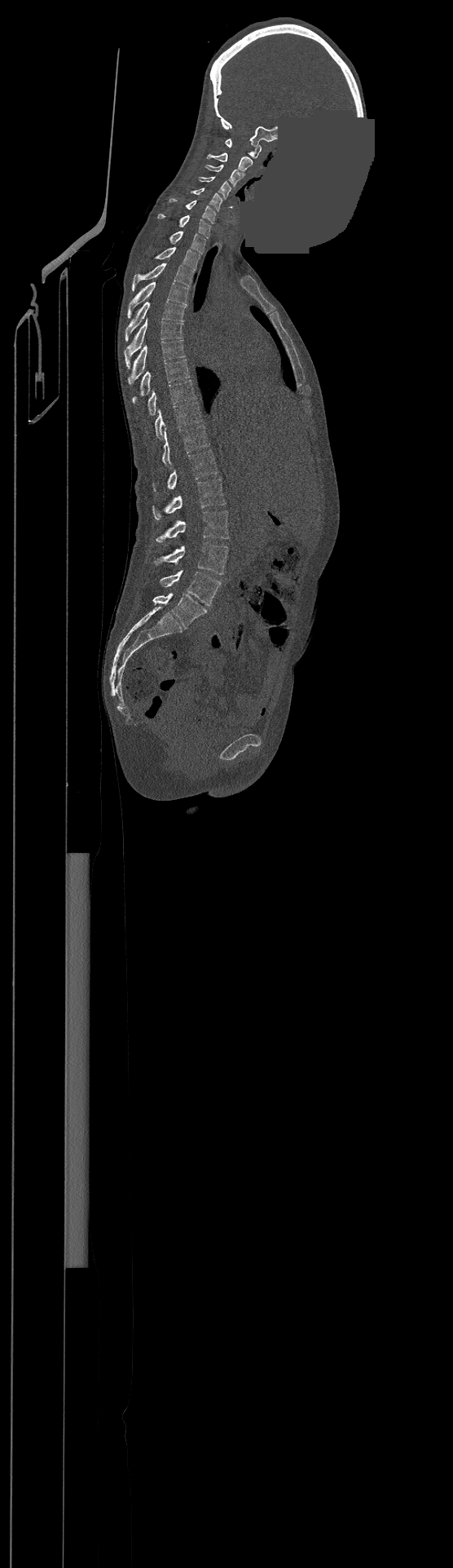

Computed tomography of the spine — sagittal view — part of the image has been replaced by a constant value

Each box given as x1,y1,x2,y2. In this scan, the topmost labeled vertebra is C1 and the lowest is L4. 23 vertebrae labeled — L4 at x1=160, y1=571, x2=221, y2=605; L3 at x1=155, y1=542, x2=227, y2=574; L2 at x1=156, y1=510, x2=228, y2=541; L1 at x1=153, y1=478, x2=226, y2=520; T12 at x1=153, y1=450, x2=218, y2=491; T11 at x1=162, y1=426, x2=209, y2=467; T10 at x1=155, y1=402, x2=201, y2=439; T9 at x1=147, y1=380, x2=195, y2=415; T8 at x1=132, y1=360, x2=189, y2=402; T7 at x1=128, y1=340, x2=185, y2=384; T6 at x1=124, y1=319, x2=183, y2=368; T5 at x1=125, y1=302, x2=186, y2=341; T4 at x1=127, y1=281, x2=188, y2=317; T3 at x1=132, y1=263, x2=193, y2=290; T2 at x1=156, y1=247, x2=200, y2=270; T1 at x1=169, y1=231, x2=205, y2=254; C7 at x1=157, y1=214, x2=211, y2=238; C6 at x1=169, y1=198, x2=216, y2=223; C5 at x1=191, y1=188, x2=222, y2=210; C4 at x1=199, y1=176, x2=231, y2=198; C3 at x1=205, y1=165, x2=244, y2=187; C2 at x1=207, y1=152, x2=253, y2=171; C1 at x1=225, y1=139, x2=261, y2=158.